CT spine; sagittal view; the image spans 386 mm across; bone window; 17 vertebrae labeled in this scan
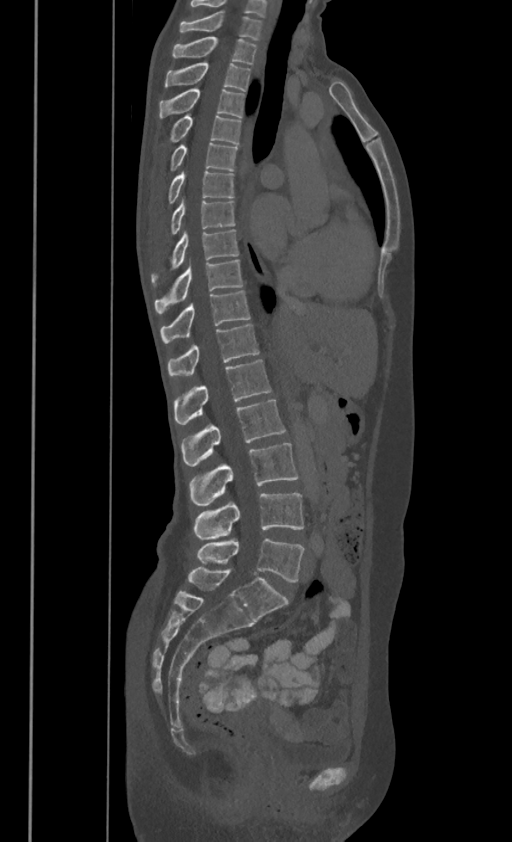

In these labels the thoracic vertebrae end at T11, so L1 follows T11.
<vertebrae><v name="C7" x1="180" y1="8" x2="261" y2="38"/><v name="T1" x1="172" y1="36" x2="256" y2="63"/><v name="T2" x1="164" y1="61" x2="250" y2="90"/><v name="T3" x1="159" y1="87" x2="243" y2="117"/><v name="T4" x1="170" y1="113" x2="240" y2="143"/><v name="T5" x1="170" y1="142" x2="238" y2="170"/><v name="T6" x1="168" y1="170" x2="234" y2="203"/><v name="T7" x1="171" y1="198" x2="235" y2="233"/><v name="T8" x1="151" y1="229" x2="238" y2="282"/><v name="T9" x1="155" y1="258" x2="242" y2="312"/><v name="T10" x1="160" y1="290" x2="250" y2="340"/><v name="T11" x1="168" y1="324" x2="259" y2="375"/><v name="L1" x1="174" y1="359" x2="271" y2="424"/><v name="L2" x1="182" y1="398" x2="285" y2="466"/><v name="L3" x1="190" y1="443" x2="297" y2="505"/><v name="L4" x1="193" y1="493" x2="304" y2="540"/><v name="L5" x1="197" y1="538" x2="304" y2="582"/></vertebrae>